Spine CT · sagittal view · 137 mm wide · 137x214 px · scan covers 9 annotated vertebrae
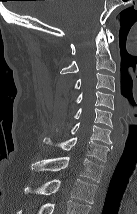
Box values are [left, top, right, bottom] in pixels.
The highest labeled vertebra in this scan is C1; the lowest is T2.
{"vertebrae":{"T2":[25,178,96,203],"T1":[31,157,103,182],"C7":[43,137,112,161],"C6":[70,122,111,144],"C5":[74,108,112,128],"C4":[76,91,113,109],"C3":[75,72,114,92],"C2":[60,27,115,74],"C1":[70,29,113,54]}}